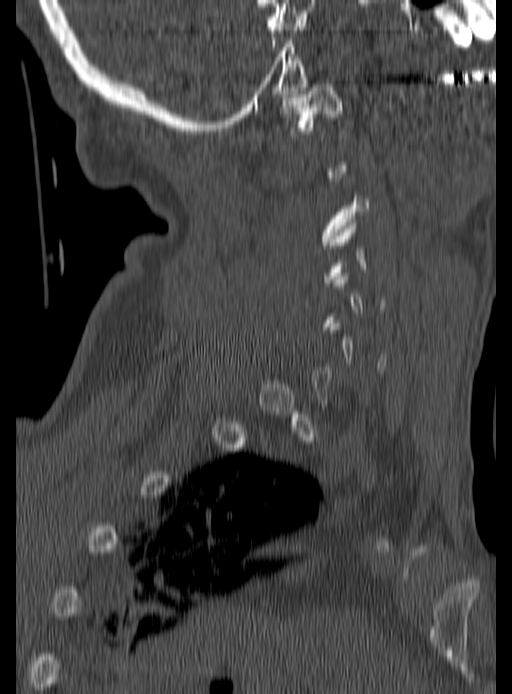
CT · sagittal view · W/L 1800/400 HU
Boxes: x1 y1 x2 y2 (pixel coords, space-separated).
A vertebra is boxed only from the first to the last slice where its cross-section is at least a third of its largest; slices outside that range leave it without a box.
C1: 279 81 342 134
C3: 320 195 369 245